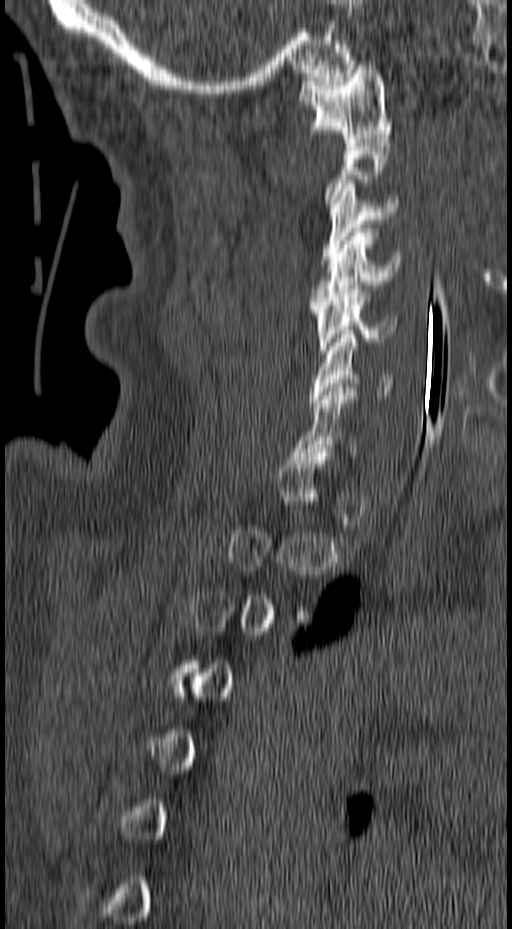 CT. sagittal view. 512x929 px

Each row gives a vertebra's box as x1, y1, x2, y2 in pixels: top-left corner, then bottom-right corner.
A vertebra gets a box only on the slices from the first to the last where its cross-section is at least a third of its largest; on a slice outside that range it gets none.
| vertebra | x1 | y1 | x2 | y2 |
|---|---|---|---|---|
| C7 | 291 | 387 | 356 | 456 |
| C6 | 309 | 334 | 391 | 403 |
| C5 | 310 | 285 | 397 | 354 |
| C4 | 310 | 228 | 401 | 305 |
| C3 | 319 | 183 | 398 | 264 |
| C1 | 297 | 61 | 392 | 142 |